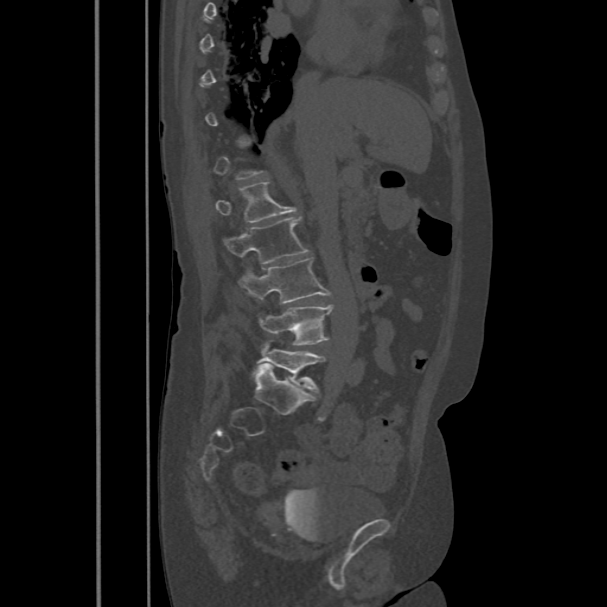 CT; sagittal reformat; Bone window (WL 400, WW 1800); 607x607 px

Each vertebra maps to its box as [x1, y1, x2, y2], the pixel coordinates of its top-left and bottom-right corners.
A vertebra is boxed only from the first to the last slice where its cross-section is at least a third of its largest; slices outside that range leave it without a box.
{"vertebrae":{"L5":[254,343,325,391],"L4":[257,305,332,345],"L3":[238,257,330,304],"L2":[224,217,307,264],"L1":[215,182,297,222]}}